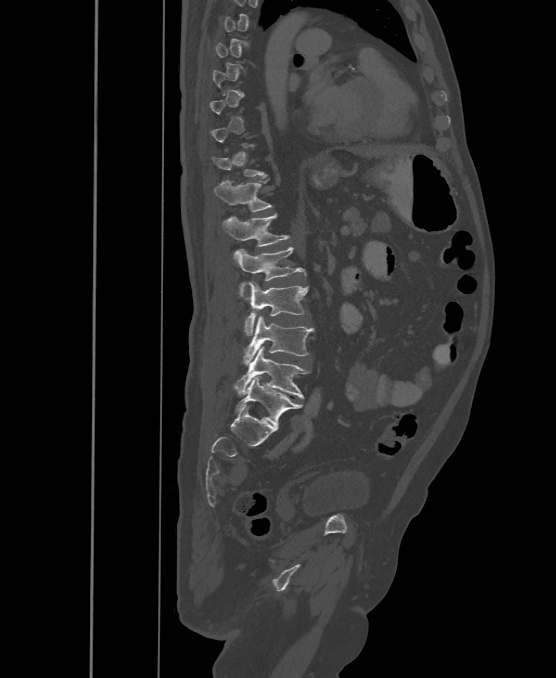

CT · sagittal reformat · bone window. Boxes: x1:y1:x2:y2 in pixels.
Not every vertebra on this slice has a box: a vertebra is boxed only from the first to the last slice where its cross-section is at least a third of its largest, and this slice is outside that range for at least one of them.
In these labels the spine has an L6, a sixth lumbar vertebra below L5.
Vertebra bounding boxes:
- L6: 235:376:302:425
- L5: 234:346:308:398
- L4: 242:316:314:365
- L3: 239:281:308:335
- L2: 233:247:305:290
- L1: 222:213:289:246
- T12: 215:180:271:212